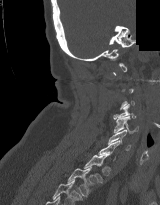 CT, spine — sagittal view — 160 mm wide — a portion of the image is blanked out (constant pixel value). Bounding boxes as [x1, y1, x2, y2] in pixel coordinates.
A vertebra gets a box only on the slices from the first to the last where its cross-section is at least a third of its largest; on a slice outside that range it gets none.
T2: [66, 167, 94, 197]
T1: [84, 155, 109, 183]
C6: [108, 130, 131, 150]
C5: [113, 116, 138, 133]
C4: [113, 104, 136, 120]